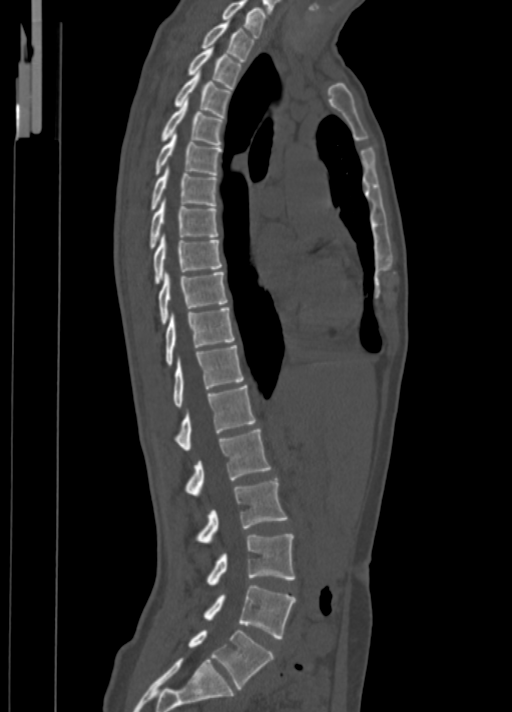

Spine computed tomography. sagittal view. Bone window (WL 400, WW 1800). 512x712 px

Box edges are left/top/right/bottom in pixels.
C7: left=222, top=0, right=265, bottom=37
T1: left=202, top=20, right=253, bottom=60
T2: left=188, top=47, right=242, bottom=88
T3: left=175, top=72, right=231, bottom=117
T4: left=162, top=99, right=223, bottom=145
T5: left=155, top=133, right=221, bottom=175
T6: left=151, top=165, right=217, bottom=210
T7: left=150, top=197, right=218, bottom=248
T8: left=153, top=233, right=221, bottom=283
T9: left=159, top=271, right=227, bottom=324
T10: left=165, top=307, right=234, bottom=365
T11: left=172, top=345, right=243, bottom=407
T12: left=177, top=385, right=255, bottom=451
L1: left=186, top=429, right=271, bottom=496
L2: left=197, top=478, right=287, bottom=543
L3: left=207, top=534, right=294, bottom=586
L4: left=205, top=585, right=296, bottom=638
L5: left=188, top=630, right=274, bottom=688